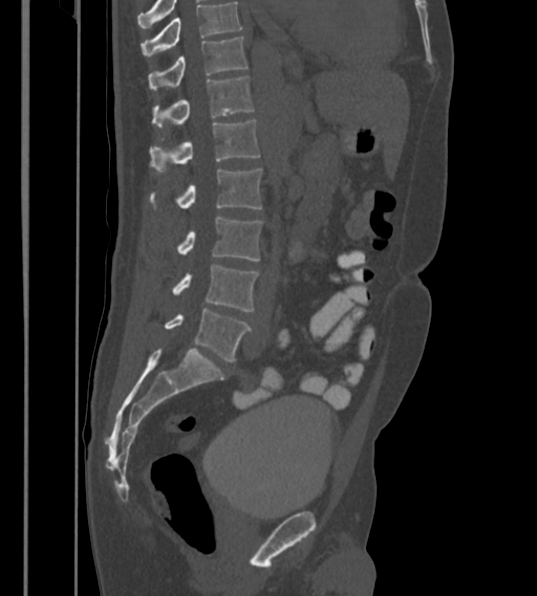 CT spine; sagittal view; bone window; the image is 430 mm wide
Box edges are left/top/right/bottom in pixels.
Labels in this scan begin with T12 at the top and end with L6 at the bottom.
The labels name a sixth lumbar vertebra for this spine: L6, after L5.
Vertebra bounding boxes:
- T12: left=149, top=36, right=248, bottom=90
- L1: left=151, top=76, right=254, bottom=128
- L2: left=150, top=120, right=260, bottom=173
- L3: left=150, top=169, right=261, bottom=209
- L4: left=177, top=216, right=262, bottom=261
- L5: left=172, top=265, right=259, bottom=311
- L6: left=165, top=309, right=252, bottom=361